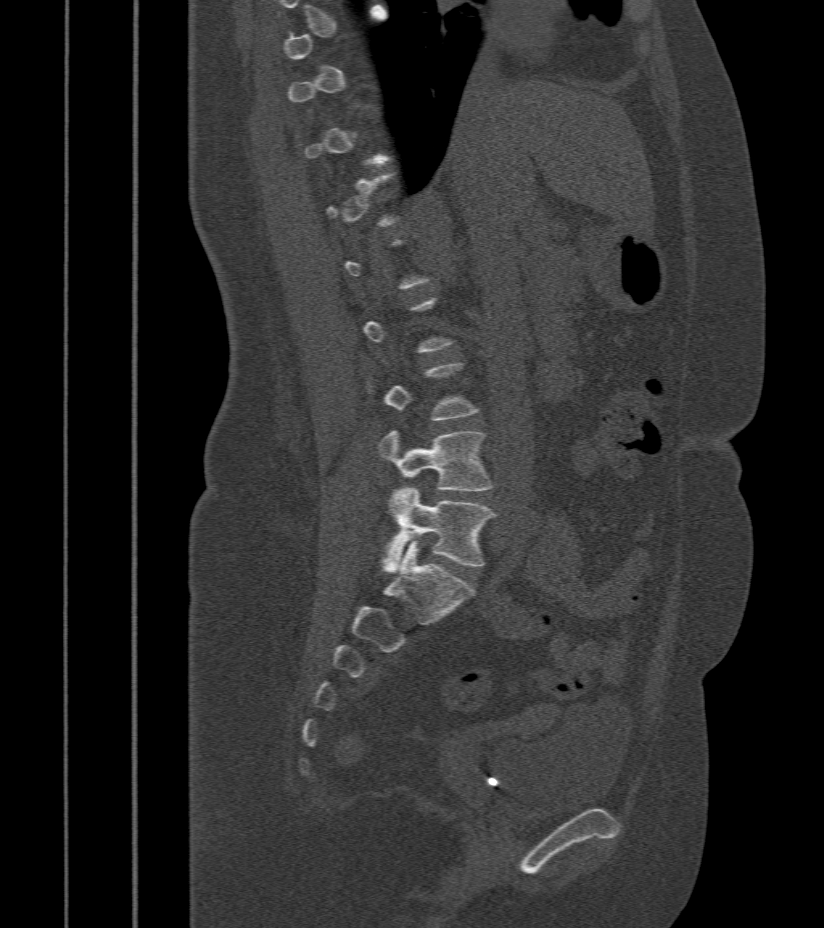

Spine computed tomography — sagittal view — bone-window reconstruction. Each box given as x1,y1,x2,y2.
A vertebra gets a box only on the slices from the first to the last where its cross-section is at least a third of its largest; on a slice outside that range it gets none.
L4: x1=378, y1=429, x2=493, y2=490
L5: x1=381, y1=486, x2=496, y2=572